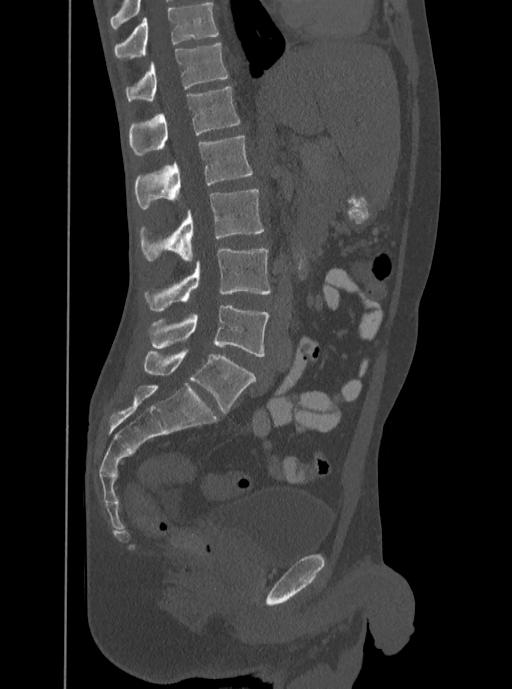 CT spine — sagittal view — image 350 mm wide — Bone window (WL 400, WW 1800)
Box values are [left, top, right, bottom] in pixels.
Labels in this scan begin with T12 at the top and end with L5 at the bottom.
{"vertebrae":{"T12":[126,42,228,100],"L1":[128,86,240,156],"L2":[134,136,252,208],"L3":[140,188,264,261],"L4":[145,249,271,311],"L5":[148,305,269,356]}}